Spine computed tomography — image width 356 mm — sagittal view — 593x528 px
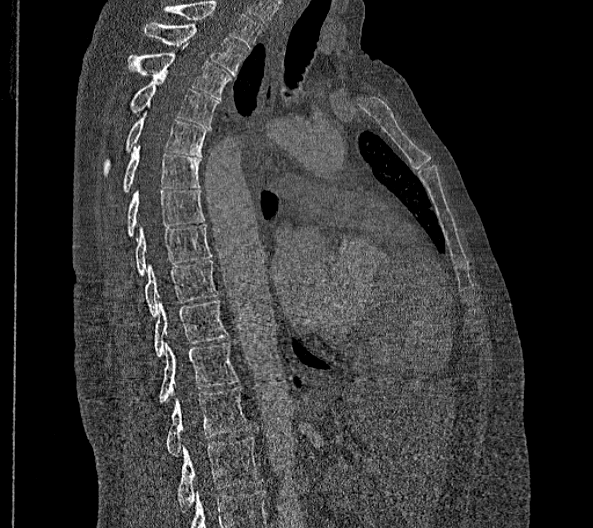
Boxes are (x1, y1, x2, y2) in pixels.
In this scan, the topmost labeled vertebra is T2 and the lowest is L2.
In these labels the spine has no T12: the thoracic vertebrae end at T11, and L1 comes next.
T2: (144, 23, 247, 76)
T3: (126, 43, 231, 99)
T4: (129, 74, 218, 126)
T5: (102, 105, 211, 176)
T6: (123, 145, 201, 192)
T7: (126, 188, 204, 236)
T8: (134, 223, 212, 276)
T9: (145, 260, 217, 316)
T10: (153, 300, 227, 356)
T11: (158, 342, 239, 402)
L1: (167, 387, 250, 456)
L2: (176, 435, 262, 511)